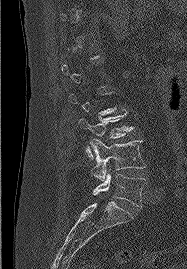 Computed tomography of the spine — sagittal reformat — W/L 1800/400 HU. Coordinates as <box>x1,y1,x2,y2</box>. Each vertebra is boxed only on the slices from the first to the last where its cross-section reaches a third of its largest, so a slice outside that range leaves it unboxed. The labeled vertebrae in this slice are: L3 at <box>79,108,134,158</box>, L4 at <box>90,138,145,181</box>, L5 at <box>93,171,145,206</box>.